CT spine; sagittal plane, index 361; 512x757 px; 153 mm image width
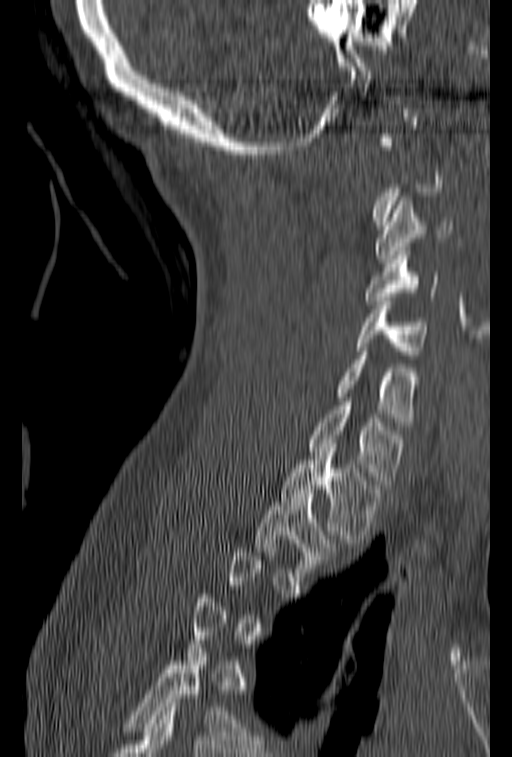
Each vertebra is boxed only on the slices from the first to the last where its cross-section reaches a third of its largest, so a slice outside that range leaves it unboxed.
<vertebrae><v name="C3" x1="375" y1="197" x2="452" y2="263"/><v name="C4" x1="365" y1="247" x2="439" y2="304"/><v name="C5" x1="356" y1="297" x2="429" y2="359"/><v name="C6" x1="335" y1="347" x2="419" y2="426"/><v name="C7" x1="309" y1="397" x2="405" y2="484"/><v name="T1" x1="281" y1="452" x2="382" y2="543"/><v name="T2" x1="255" y1="489" x2="342" y2="576"/></vertebrae>